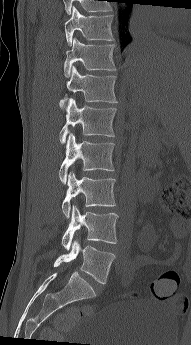 CT spine; sagittal view; 191 mm image width
Boxes below are [x1, y1, x2, y2] in pixels.
{"vertebrae":{"L5":[54,240,115,283],"L4":[61,205,118,250],"L3":[62,171,116,218],"L2":[59,132,114,184],"L1":[59,98,116,143],"T12":[59,66,117,108],"T11":[64,37,116,77],"T10":[64,6,114,46]}}